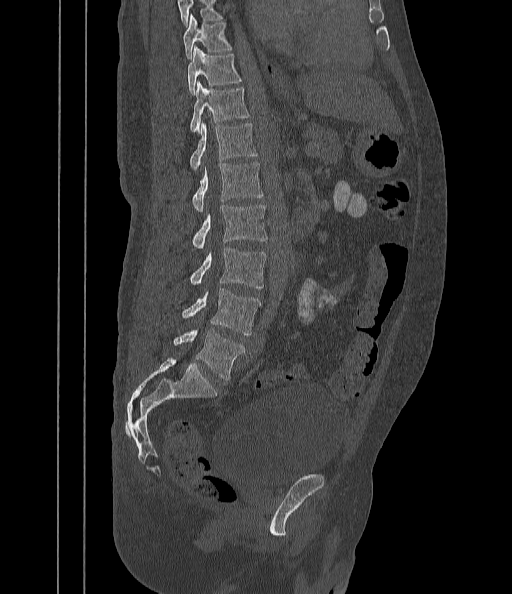
Computed tomography of the spine. the image is 442 mm wide. sagittal view
Columns x1, y1, x2, y2 give each box's top-left and bottom-right pixels.
Where the top of the scan cuts through a vertebra, that vertebra gets no label or box.
| vertebra | x1 | y1 | x2 | y2 |
|---|---|---|---|---|
| T9 | 183 | 16 | 232 | 58 |
| T10 | 188 | 47 | 241 | 95 |
| T11 | 190 | 82 | 249 | 133 |
| T12 | 190 | 123 | 257 | 171 |
| L1 | 192 | 162 | 263 | 213 |
| L2 | 192 | 205 | 268 | 247 |
| L3 | 190 | 248 | 265 | 289 |
| L4 | 182 | 288 | 261 | 334 |
| L5 | 174 | 328 | 244 | 380 |